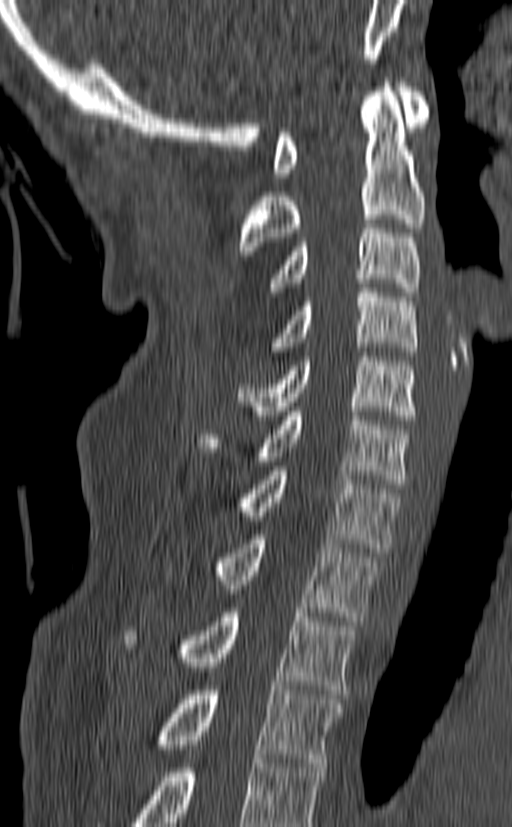 Spine computed tomography; 140 mm image width; sagittal reformat

Boxes below are [x1, y1, x2, y2] in pixels.
This scan's labels start at C1 at the top and end at T3 at the bottom.
{"vertebrae":{"T3":[155,686,342,767],"T2":[123,608,356,694],"T1":[213,535,381,621],"C7":[239,466,399,552],"C6":[197,411,410,488],"C5":[237,352,417,420],"C4":[272,288,417,356],"C3":[268,219,421,296],"C2":[239,78,425,250],"C1":[272,78,428,177]}}